CT spine; sagittal view; bone-window reconstruction
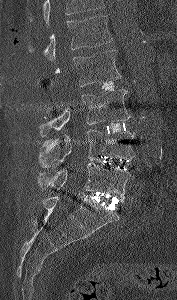
Boxes are (x1, y1, x2, y2) in pixels. Vertebrae that run past the top of the scan are left unlabeled. 5 vertebrae labeled — L1 at (28, 15, 113, 61); L2 at (54, 50, 121, 86); L3 at (37, 89, 131, 136); L4 at (38, 129, 136, 167); L5 at (37, 163, 134, 199).